Spine computed tomography. 412 mm image width. sagittal reformat. bone window. 824x928 px
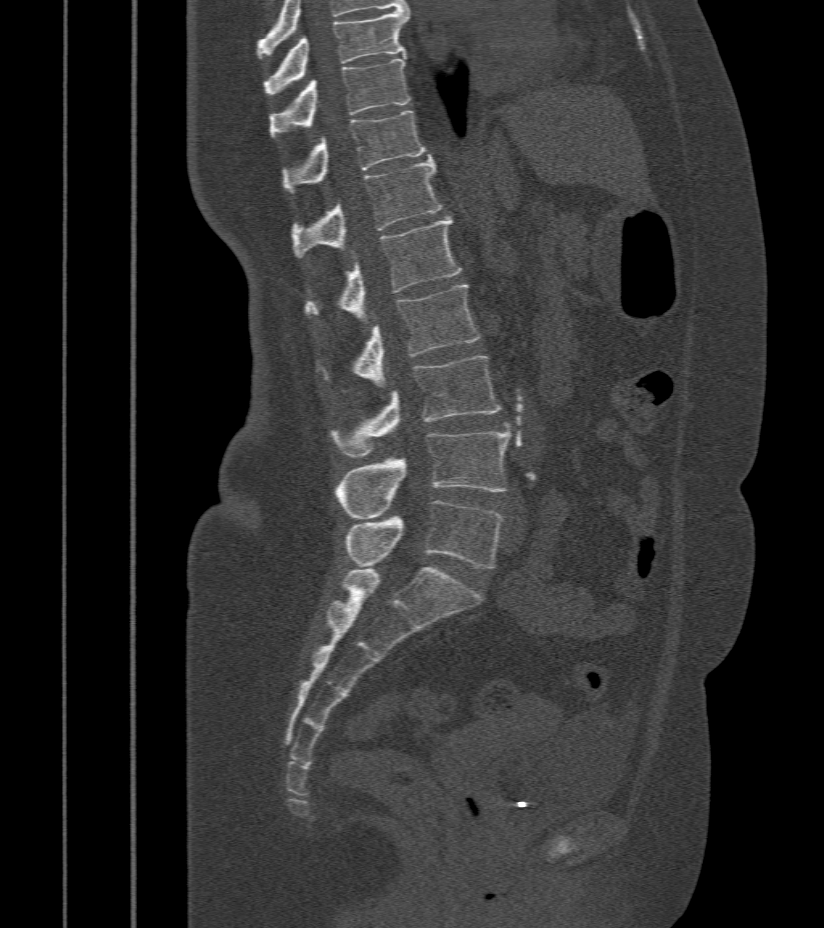
In the table, x1 and y1 are a box's top-left corner and x2 and y2 its bottom-right corner, in pixels.
| vertebra | x1 | y1 | x2 | y2 |
|---|---|---|---|---|
| T9 | 264 | 11 | 409 | 96 |
| T10 | 270 | 57 | 411 | 138 |
| T11 | 282 | 111 | 429 | 192 |
| T12 | 291 | 157 | 443 | 258 |
| L1 | 304 | 217 | 461 | 324 |
| L2 | 323 | 285 | 480 | 388 |
| L3 | 330 | 357 | 501 | 458 |
| L4 | 336 | 431 | 511 | 518 |
| L5 | 346 | 501 | 503 | 568 |